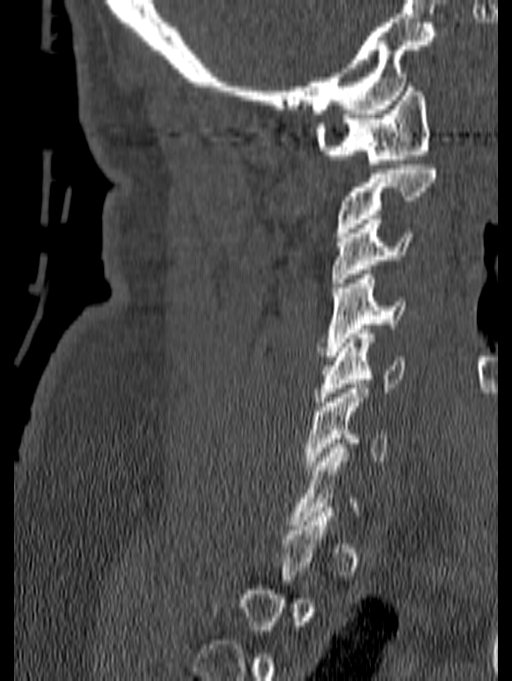 Spine computed tomography — sagittal view — 512x681 px

A vertebra gets a box only on the slices from the first to the last where its cross-section is at least a third of its largest; on a slice outside that range it gets none.
<vertebrae><v name="C6" x1="305" y1="384" x2="388" y2="470"/><v name="C5" x1="315" y1="329" x2="405" y2="406"/><v name="C4" x1="318" y1="270" x2="406" y2="356"/><v name="C3" x1="331" y1="219" x2="414" y2="287"/><v name="C2" x1="335" y1="165" x2="436" y2="237"/><v name="C1" x1="315" y1="82" x2="430" y2="164"/></vertebrae>